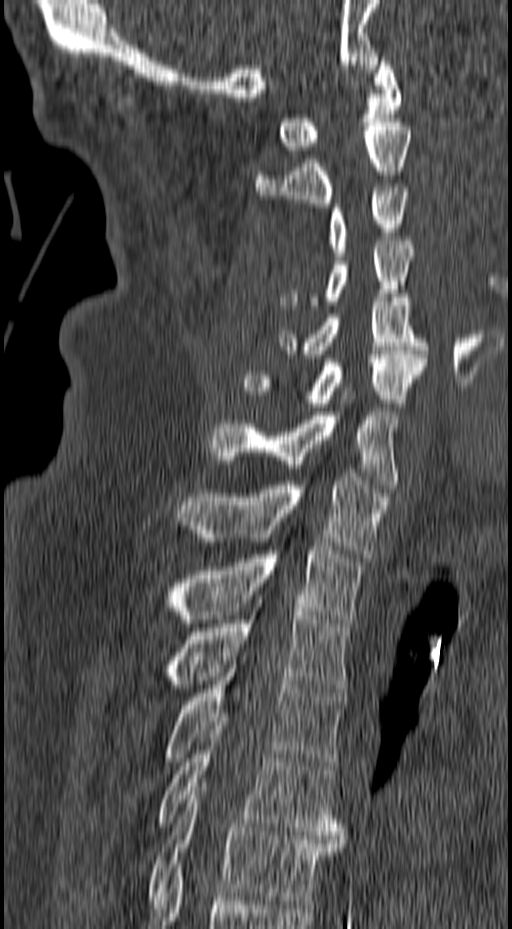 CT, spine — sagittal view — bone-window reconstruction — 512x929 px

Each row gives a vertebra's box as x1, y1, x2, y2 in pixels: top-left corner, then bottom-right corner.
| vertebra | x1 | y1 | x2 | y2 |
|---|---|---|---|---|
| C1 | 278 | 57 | 401 | 154 |
| C2 | 256 | 122 | 412 | 207 |
| C3 | 327 | 188 | 411 | 256 |
| C4 | 278 | 241 | 414 | 309 |
| C5 | 278 | 294 | 427 | 358 |
| C6 | 242 | 351 | 427 | 407 |
| C7 | 207 | 387 | 398 | 488 |
| T1 | 177 | 473 | 388 | 557 |
| T2 | 164 | 546 | 362 | 623 |
| T3 | 164 | 607 | 349 | 692 |
| T4 | 164 | 656 | 346 | 769 |
| T5 | 157 | 726 | 346 | 839 |
| T6 | 146 | 787 | 343 | 904 |